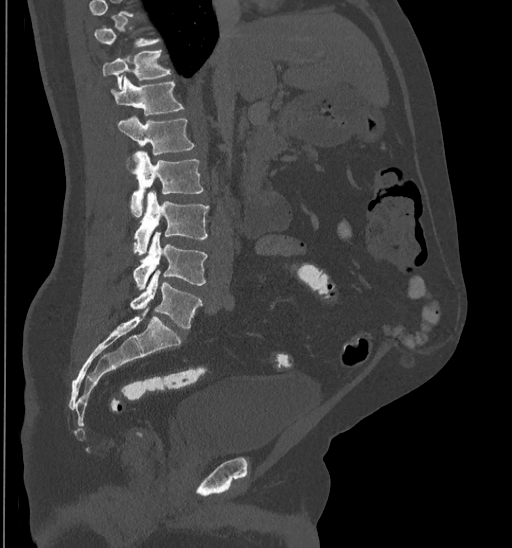
CT, spine; sagittal view; bone window; 512x548 px; 435 mm across the image
Box values are [left, top, right, bottom] in pixels.
Each vertebra is boxed only on the slices from the first to the last where its cross-section reaches a third of its largest, so a slice outside that range leaves it unboxed.
{"vertebrae":{"T11":[102,50,171,89],"T12":[110,76,184,114],"L1":[117,117,194,155],"L2":[131,151,203,216],"L3":[132,191,208,253],"L4":[133,232,207,289],"L5":[131,270,201,327]}}